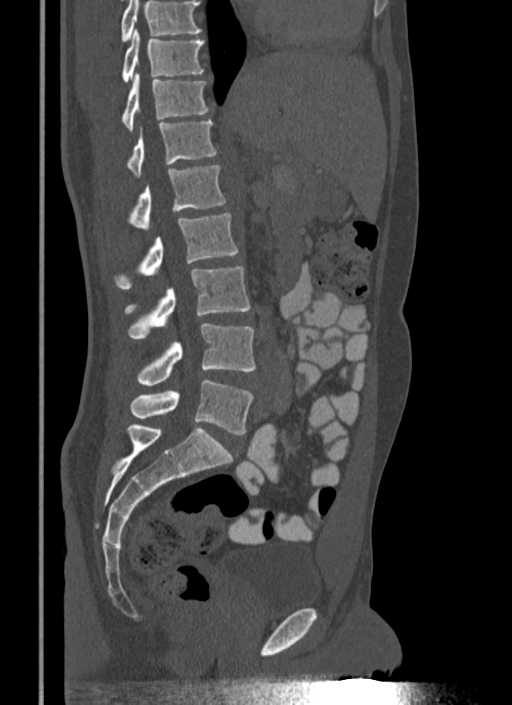 CT, spine — sagittal view

Where the top of the scan cuts through a vertebra, that vertebra gets no label or box.
<vertebrae><v name="T10" x1="122" y1="30" x2="204" y2="82"/><v name="T11" x1="122" y1="74" x2="211" y2="130"/><v name="T12" x1="126" y1="120" x2="216" y2="177"/><v name="L1" x1="128" y1="166" x2="226" y2="229"/><v name="L2" x1="114" y1="212" x2="238" y2="288"/><v name="L3" x1="125" y1="267" x2="250" y2="338"/><v name="L4" x1="137" y1="324" x2="255" y2="385"/><v name="L5" x1="131" y1="379" x2="253" y2="434"/></vertebrae>